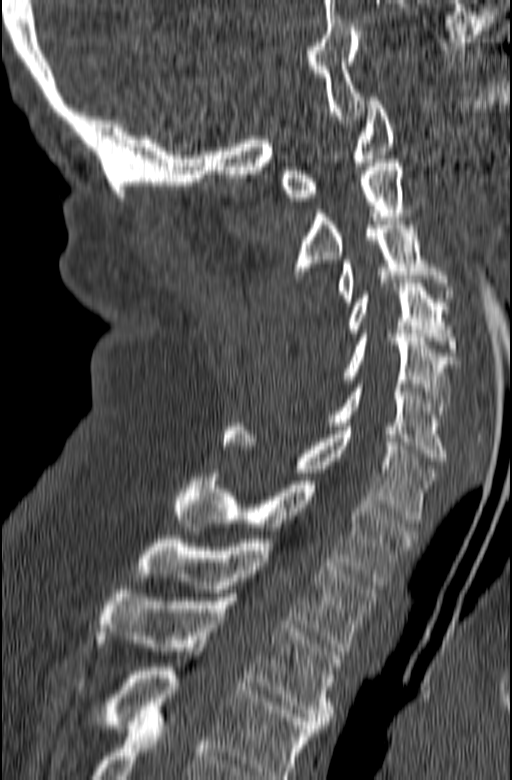 CT, spine — sagittal view — bone-window reconstruction

Coordinates as <box>x1,y1,x2,y2</box>.
Labels in this scan begin with C1 at the top and end with T3 at the bottom.
C1: <box>280,97,394,201</box>
C2: <box>290,159,413,278</box>
C3: <box>336,221,453,305</box>
C4: <box>345,279,459,356</box>
C5: <box>342,334,459,418</box>
C6: <box>327,380,447,461</box>
C7: <box>221,423,438,523</box>
T1: <box>174,473,416,585</box>
T2: <box>137,539,379,651</box>
T3: <box>94,590,341,728</box>